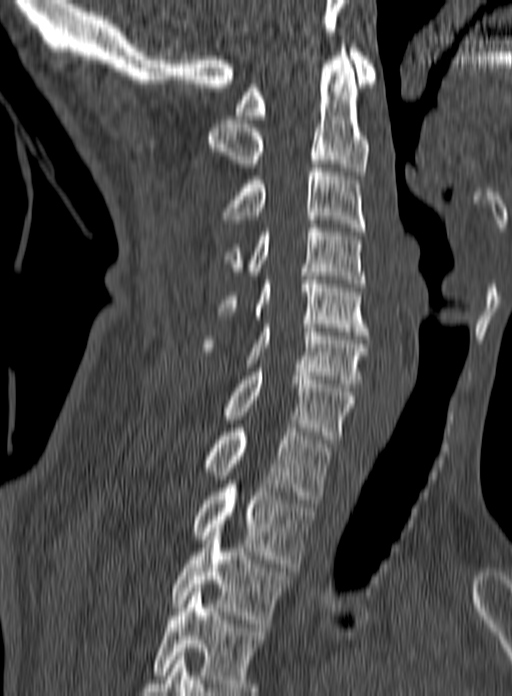

Spine CT — sagittal view — 160 mm wide — Bone window (WL 400, WW 1800). Boxes are (x1, y1, x2, y2) in pixels.
Labels in this scan begin with C1 at the top and end with T3 at the bottom.
Vertebra bounding boxes:
- C1: (234, 48, 377, 119)
- C2: (207, 44, 369, 175)
- C3: (219, 164, 365, 231)
- C4: (223, 224, 365, 287)
- C5: (217, 272, 368, 335)
- C6: (201, 324, 369, 387)
- C7: (225, 368, 355, 443)
- T1: (206, 428, 331, 503)
- T2: (192, 480, 314, 567)
- T3: (171, 524, 289, 627)